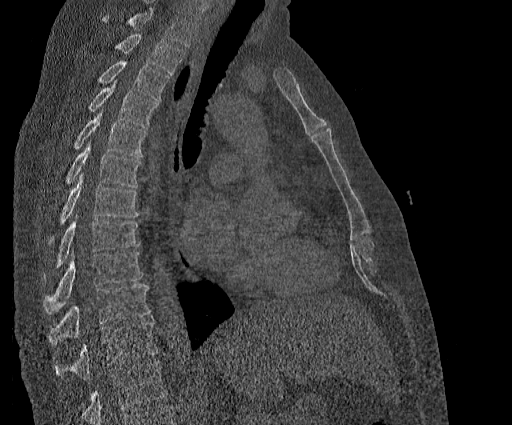

CT, spine — sagittal view — bone-window reconstruction

Each box given as x1,y1,x2,y2.
Vertebrae that run past the top of the scan are left unlabeled.
The highest labeled vertebra in this scan is T2; the lowest is T11.
Vertebra bounding boxes:
- T11: x1=54, y1=321, x2=157, y2=379
- T10: x1=49, y1=284, x2=149, y2=344
- T9: x1=42, y1=252, x2=143, y2=314
- T8: x1=44, y1=215, x2=139, y2=280
- T7: x1=48, y1=173, x2=139, y2=244
- T6: x1=65, y1=143, x2=140, y2=187
- T5: x1=73, y1=109, x2=145, y2=158
- T4: x1=88, y1=80, x2=157, y2=127
- T3: x1=97, y1=61, x2=169, y2=100
- T2: x1=116, y1=33, x2=184, y2=75